Computed tomography of the spine. sagittal plane, index 85. scan covers 9 annotated vertebrae. the image spans 205 mm across. a region is blanked to uniform black, ending in a straight edge
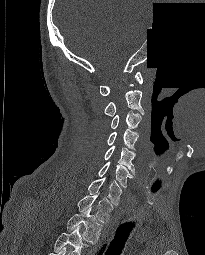

Boxes: x1:y1:x2:y2 in pixels. The highest labeled vertebra in this scan is C1; the lowest is T2. 9 vertebrae labeled — T2 at 67:207:102:243; T1 at 77:193:113:222; C7 at 87:177:122:205; C6 at 97:161:133:187; C5 at 105:146:135:175; C4 at 107:129:138:151; C3 at 111:111:141:129; C2 at 104:90:144:116; C1 at 100:72:142:95.